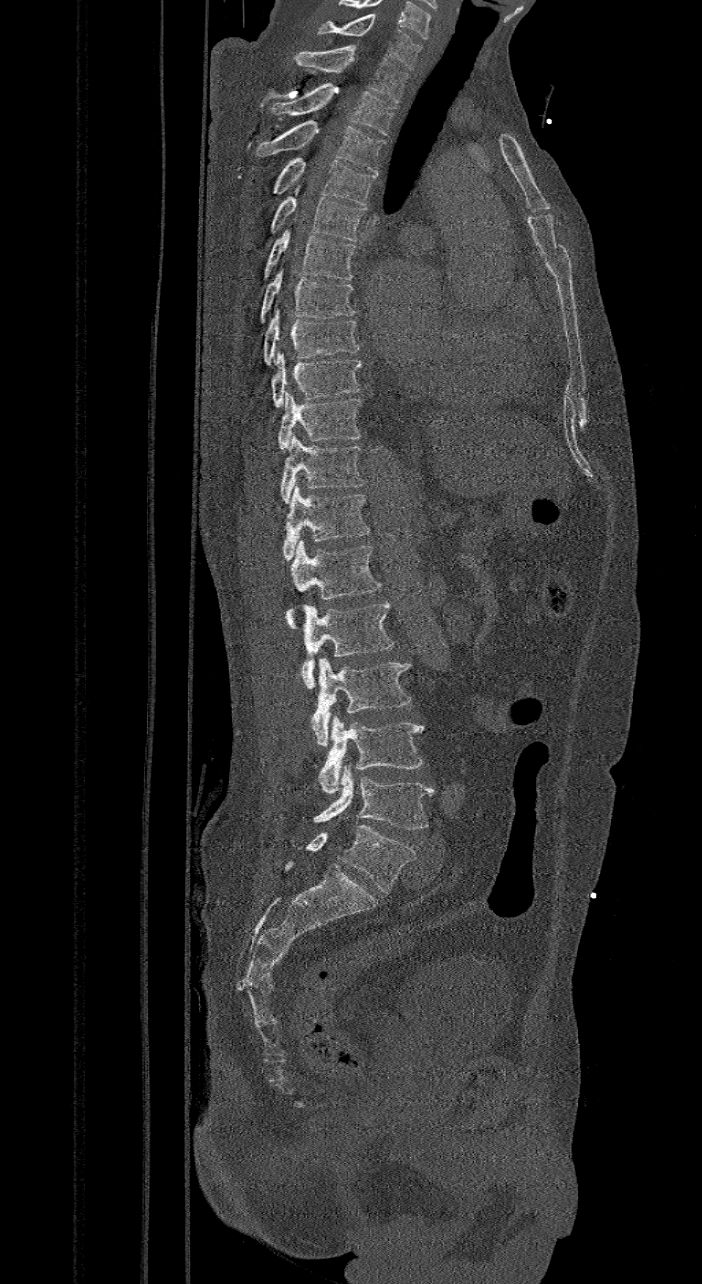

Computed tomography of the spine — sagittal view
The labels name a sixth lumbar vertebra for this spine: L6, after L5.
<vertebrae><v name="C7" x1="317" y1="15" x2="422" y2="69"/><v name="T1" x1="293" y1="45" x2="407" y2="103"/><v name="T2" x1="270" y1="82" x2="395" y2="135"/><v name="T3" x1="255" y1="119" x2="384" y2="172"/><v name="T4" x1="271" y1="157" x2="377" y2="205"/><v name="T5" x1="269" y1="178" x2="366" y2="240"/><v name="T6" x1="262" y1="228" x2="355" y2="279"/><v name="T7" x1="259" y1="269" x2="355" y2="323"/><v name="T8" x1="263" y1="310" x2="359" y2="365"/><v name="T9" x1="270" y1="352" x2="362" y2="407"/><v name="T10" x1="277" y1="390" x2="361" y2="448"/><v name="T11" x1="280" y1="433" x2="364" y2="503"/><v name="T12" x1="281" y1="485" x2="370" y2="560"/><v name="L1" x1="286" y1="540" x2="383" y2="628"/><v name="L2" x1="301" y1="600" x2="394" y2="688"/><v name="L3" x1="311" y1="658" x2="410" y2="747"/><v name="L4" x1="318" y1="716" x2="424" y2="793"/><v name="L5" x1="311" y1="766" x2="432" y2="828"/><v name="L6" x1="281" y1="824" x2="416" y2="893"/></vertebrae>